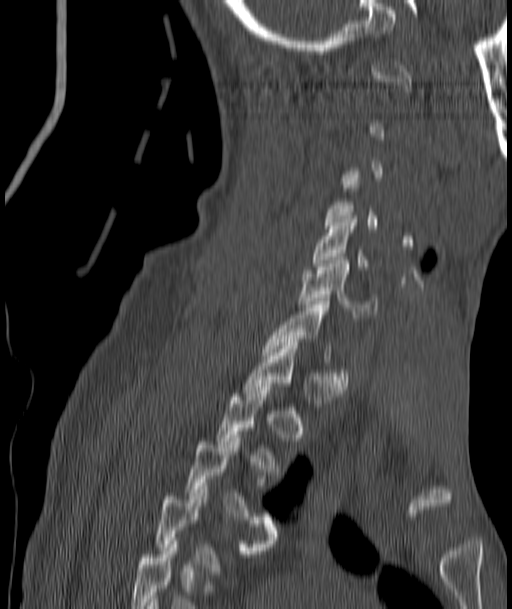 CT · sagittal view · 187 mm wide
Boxes below are [x1, y1, x2, y2] in pixels.
Each vertebra is boxed only on the slices from the first to the last where its cross-section reaches a third of its largest, so a slice outside that range leaves it unboxed.
This scan's labels start at C1 at the top and end at T4 at the bottom.
{"vertebrae":{"C5":[313,216,380,273],"C6":[299,260,375,314],"T3":[184,435,276,543],"T4":[154,483,267,574]}}